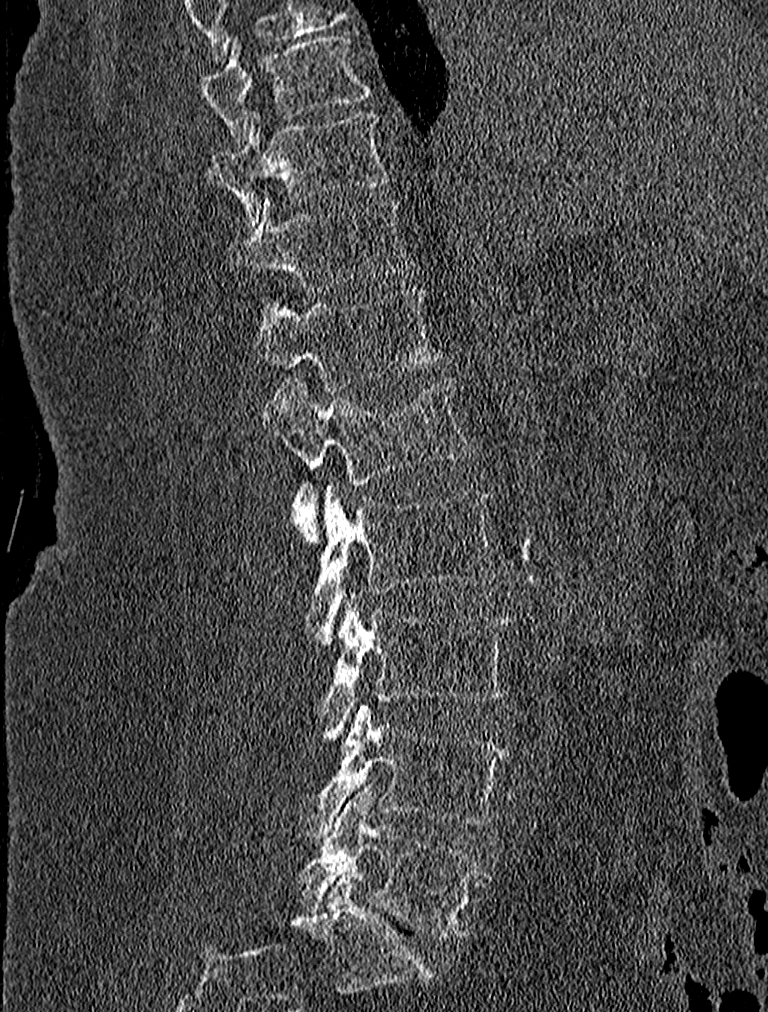
CT, spine. sagittal view. bone-window reconstruction
Box edges are left/top/right/bottom in pixels. 9 vertebrae labeled — T9 at left=198, top=33, right=370, bottom=147; T10 at left=209, top=111, right=394, bottom=223; T11 at left=228, top=193, right=411, bottom=290; T12 at left=253, top=288, right=438, bottom=392; L1 at left=260, top=376, right=475, bottom=544; L2 at left=310, top=481, right=502, bottom=648; L3 at left=320, top=589, right=512, bottom=739; L4 at left=297, top=702, right=509, bottom=839; L5 at left=300, top=787, right=485, bottom=938.